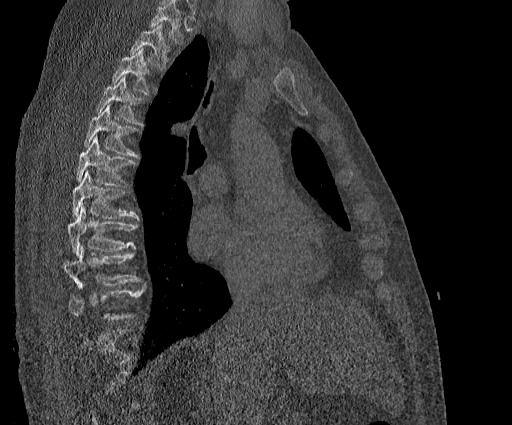 CT, spine. sagittal reformat. Bone window (WL 400, WW 1800). image width 384 mm
Each vertebra is boxed only on the slices from the first to the last where its cross-section reaches a third of its largest, so a slice outside that range leaves it unboxed.
No box is given to a vertebra that the top edge of the scan cuts off.
<vertebrae><v name="T2" x1="130" y1="24" x2="169" y2="68"/><v name="T3" x1="111" y1="48" x2="152" y2="95"/><v name="T4" x1="96" y1="76" x2="144" y2="126"/><v name="T5" x1="84" y1="104" x2="140" y2="158"/><v name="T6" x1="76" y1="136" x2="137" y2="186"/><v name="T7" x1="72" y1="171" x2="139" y2="220"/><v name="T8" x1="68" y1="207" x2="138" y2="255"/><v name="T9" x1="64" y1="245" x2="140" y2="288"/><v name="T10" x1="68" y1="284" x2="145" y2="320"/></vertebrae>